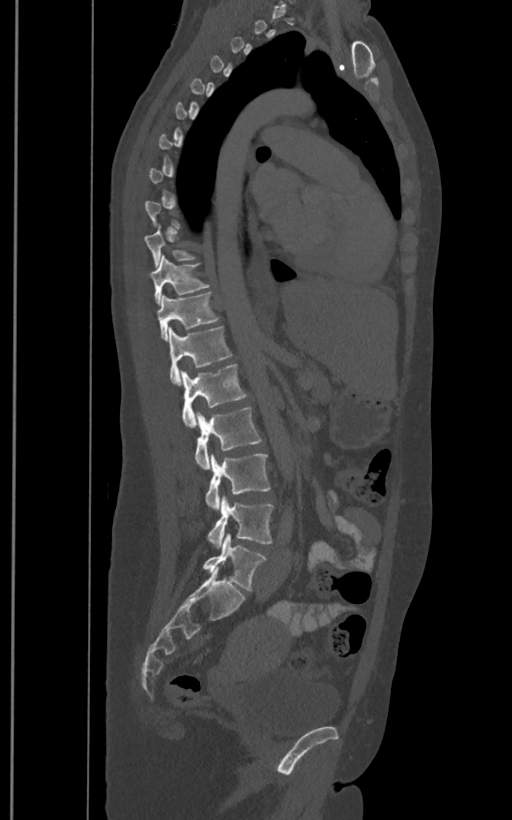

Spine CT; sagittal view

A vertebra gets a box only on the slices from the first to the last where its cross-section is at least a third of its largest; on a slice outside that range it gets none.
In these labels the spine has an L6, a sixth lumbar vertebra below L5.
<vertebrae><v name="T10" x1="144" y1="225" x2="196" y2="266"/><v name="T11" x1="151" y1="255" x2="210" y2="303"/><v name="T12" x1="157" y1="291" x2="219" y2="339"/><v name="L1" x1="168" y1="326" x2="232" y2="384"/><v name="L2" x1="180" y1="363" x2="247" y2="428"/><v name="L3" x1="194" y1="407" x2="263" y2="469"/><v name="L4" x1="205" y1="453" x2="270" y2="509"/><v name="L5" x1="207" y1="497" x2="274" y2="546"/><v name="L6" x1="202" y1="533" x2="266" y2="590"/></vertebrae>